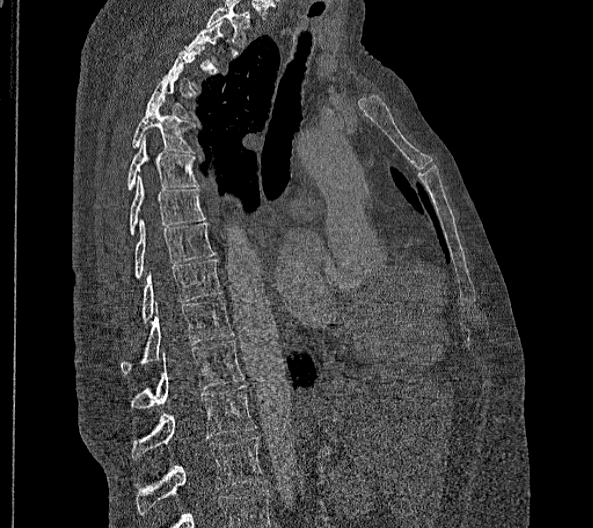 Spine CT; sagittal view

Boxes below are [x1, y1, x2, y2] in pixels.
Not every vertebra on this slice has a box: a vertebra is boxed only from the first to the last slice where its cross-section is at least a third of its largest, and this slice is outside that range for at least one of them.
In these labels the spine has no T12: the thoracic vertebrae end at T11, and L1 comes next.
{"vertebrae":{"T4":[146,72,189,117],"T5":[131,97,195,153],"T6":[127,135,197,190],"T7":[130,175,205,234],"T8":[134,219,213,277],"T9":[141,259,221,319],"T10":[119,297,234,373],"T11":[131,340,244,409],"L1":[131,385,255,459],"L2":[136,437,266,514]}}